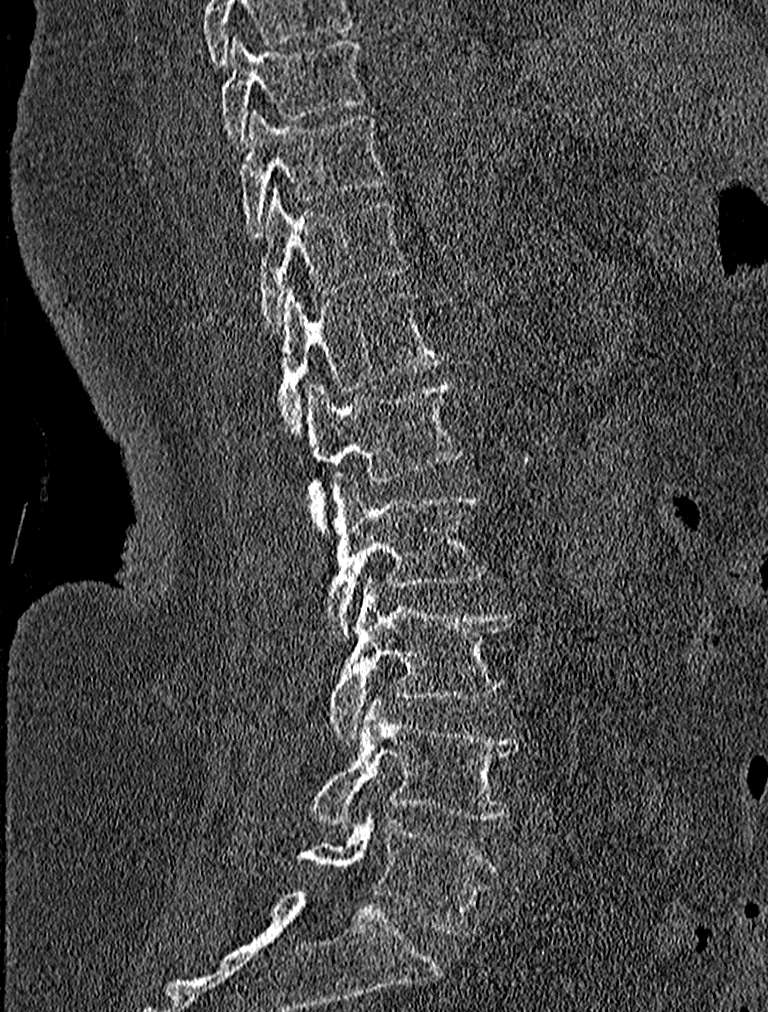 CT · image width 227 mm · sagittal view · 768x1012 px. Each box given as x1,y1,x2,y2.
Vertebra bounding boxes:
- L5: x1=297, y1=818, x2=499, y2=934
- L4: x1=310, y1=699, x2=523, y2=826
- L3: x1=327, y1=577, x2=515, y2=742
- L2: x1=324, y1=473, x2=488, y2=640
- L1: x1=306, y1=379, x2=461, y2=532
- T12: x1=276, y1=288, x2=444, y2=436
- T11: x1=254, y1=187, x2=407, y2=331
- T10: x1=239, y1=111, x2=390, y2=237
- T9: x1=219, y1=33, x2=367, y2=148